Spine CT. sagittal view. Bone window (WL 400, WW 1800)
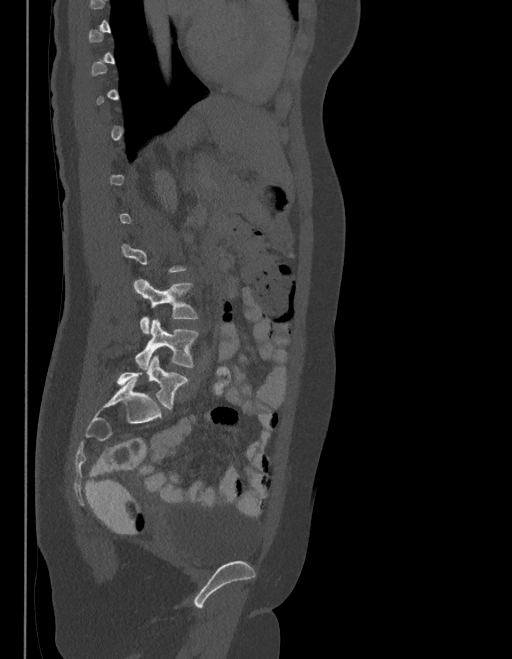
Each vertebra maps to its box as [x1, y1, x2, y2], the pixel coordinates of its top-left and bottom-right corners.
Each vertebra is boxed only on the slices from the first to the last where its cross-section reaches a third of its largest, so a slice outside that range leaves it unboxed.
In these labels the spine has an L6, a sixth lumbar vertebra below L5.
{"vertebrae":{"L6":[117,357,188,409],"L5":[135,318,198,369],"L4":[133,279,198,334]}}